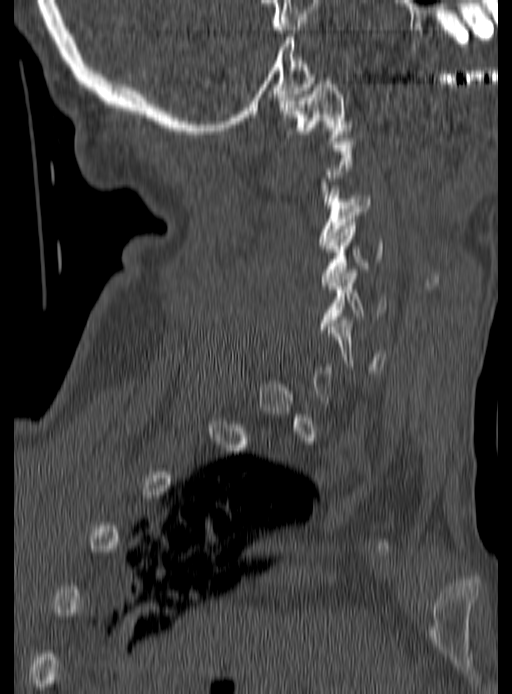
CT, spine. sagittal view. 190 mm wide. Bone window (WL 400, WW 1800). 512x694 px
Boxes: x1 y1 x2 y2 (pixel coords, space-separated).
Not every vertebra on this slice has a box: a vertebra is boxed only from the first to the last slice where its cross-section is at least a third of its largest, and this slice is outside that range for at least one of them.
C1: 279 81 352 144
C3: 317 182 370 245
C4: 322 222 383 285
C5: 320 269 387 329